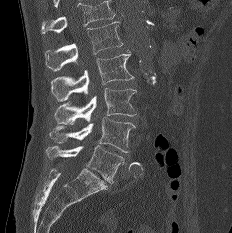 CT spine. sagittal view
A vertebra cut off by the top edge of the scan is not labeled and has no box.
<vertebrae><v name="L1" x1="45" y1="21" x2="122" y2="71"/><v name="L2" x1="51" y1="50" x2="134" y2="101"/><v name="L3" x1="54" y1="88" x2="136" y2="124"/><v name="L4" x1="49" y1="117" x2="134" y2="152"/><v name="L5" x1="45" y1="145" x2="123" y2="183"/></vertebrae>